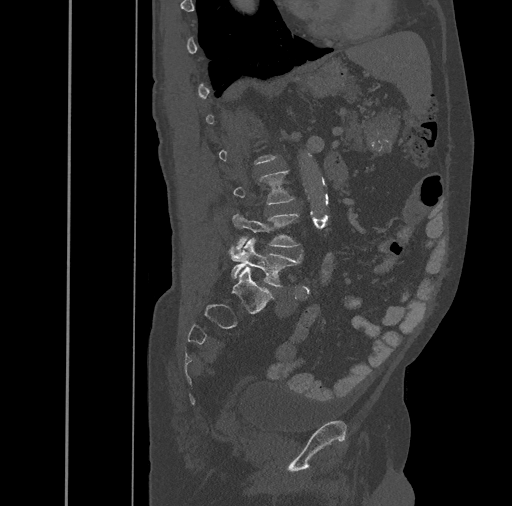 Spine CT. image 461 mm wide. sagittal view. 512x506 px
Boxes: x1 y1 x2 y2 (pixel coords, space-separated). A vertebra gets a box only on the slices from the first to the last where its cross-section is at least a third of its largest; on a slice outside that range it gets none. 2 vertebrae labeled — L4 at 229 213 303 251; L5 at 229 238 302 287.